Computed tomography of the spine. sagittal view. bone-window reconstruction. 512x681 px
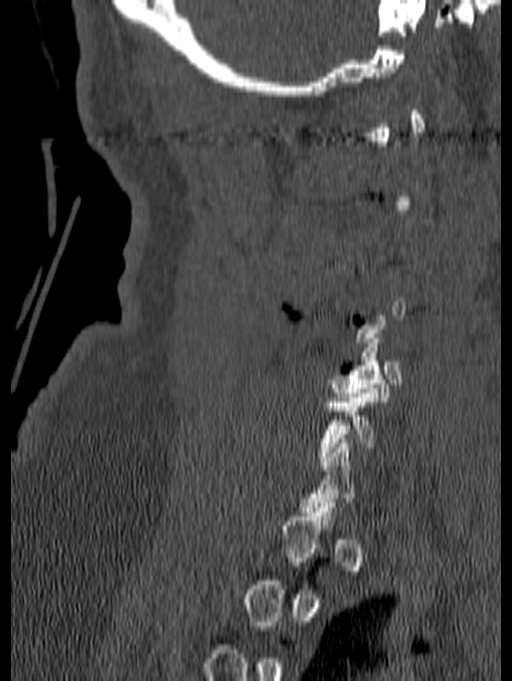

Each box given as x1,y1,x2,y2. A vertebra gets a box only on the slices from the first to the last where its cross-section is at least a third of its largest; on a slice outside that range it gets none. The labeled vertebrae in this slice are: C5 at x1=328, y1=334, x2=401, y2=401, C6 at x1=317, y1=389, x2=378, y2=465.